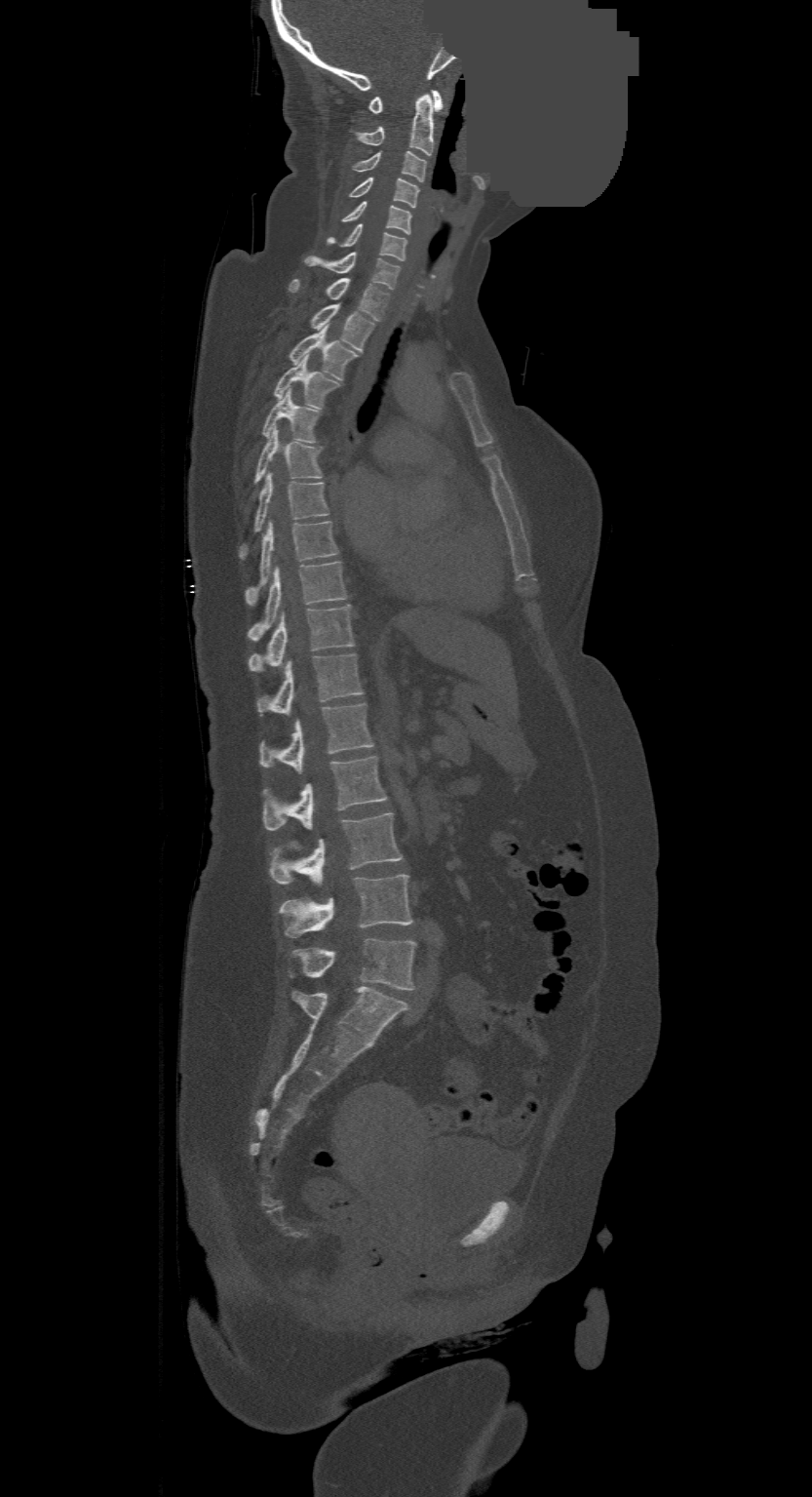
CT · sagittal reformat · 812x1497 px · some of the image was removed or blocked out with constant pixels
Box edges are left/top/right/bottom in pixels.
Labels in this scan begin with C1 at the top and end with L4 at the bottom.
C1: left=368, top=90, right=444, bottom=113
C2: left=356, top=95, right=436, bottom=155
C3: left=352, top=151, right=426, bottom=181
C4: left=349, top=177, right=419, bottom=208
C5: left=343, top=202, right=411, bottom=233
C6: left=329, top=223, right=406, bottom=259
C7: left=303, top=253, right=401, bottom=289
T1: left=289, top=278, right=389, bottom=321
T2: left=309, top=304, right=375, bottom=352
T3: left=288, top=327, right=358, bottom=379
T4: left=273, top=356, right=340, bottom=409
T5: left=262, top=389, right=320, bottom=443
T6: left=253, top=428, right=323, bottom=484
T7: left=240, top=473, right=329, bottom=559
T8: left=246, top=521, right=338, bottom=606
T9: left=250, top=561, right=346, bottom=642
T10: left=250, top=605, right=355, bottom=672
T11: left=257, top=653, right=363, bottom=715
T12: left=260, top=704, right=373, bottom=773
L1: left=263, top=756, right=386, bottom=830
L2: left=270, top=813, right=402, bottom=884
L3: left=278, top=875, right=411, bottom=937
L4: left=289, top=938, right=416, bottom=989